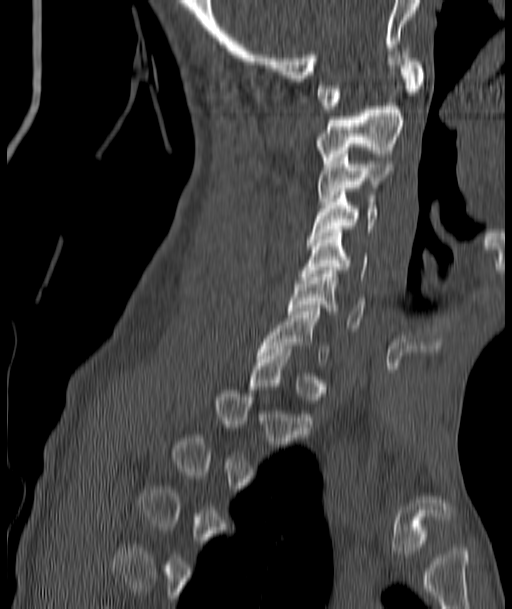 Spine CT · sagittal view

Boxes: x1 y1 x2 y2 (pixel coords, space-separated). A vertebra gets a box only on the slices from the first to the last where its cross-section is at least a third of its largest; on a slice outside that range it gets none. 7 vertebrae labeled — C1 at 316 55 424 109; C2 at 316 103 405 163; C3 at 318 151 393 204; C4 at 307 192 378 242; C5 at 302 229 367 276; C6 at 288 270 364 328; C7 at 258 308 328 365.